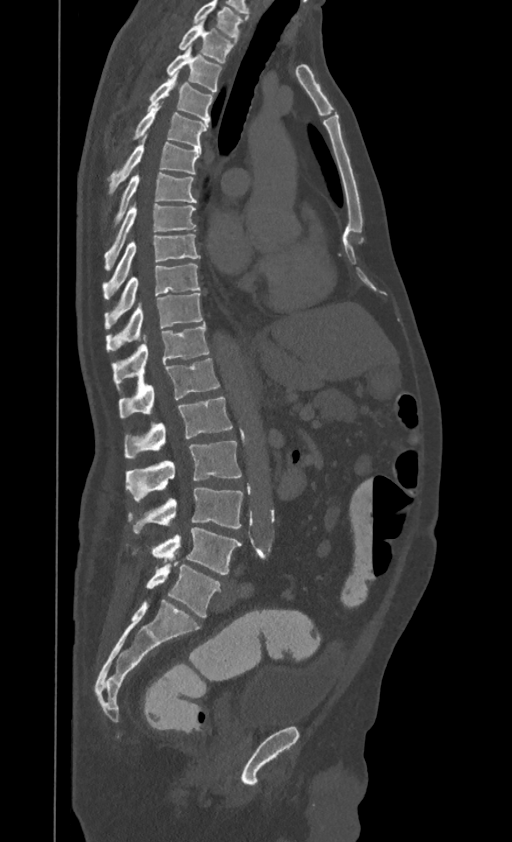
CT. sagittal view. 395 mm image width

Each box given as x1,y1,x2,y2.
This scan's labels start at T1 at the top and end at L4 at the bottom.
| vertebra | x1 | y1 | x2 | y2 |
|---|---|---|---|---|
| T1 | 179 | 20 | 236 | 62 |
| T2 | 166 | 47 | 222 | 92 |
| T3 | 148 | 73 | 213 | 124 |
| T4 | 132 | 104 | 208 | 148 |
| T5 | 110 | 136 | 201 | 191 |
| T6 | 114 | 173 | 196 | 224 |
| T7 | 105 | 203 | 196 | 268 |
| T8 | 102 | 234 | 198 | 296 |
| T9 | 105 | 262 | 200 | 328 |
| T10 | 106 | 293 | 202 | 350 |
| T11 | 113 | 323 | 209 | 387 |
| T12 | 119 | 358 | 219 | 419 |
| L1 | 124 | 397 | 232 | 457 |
| L2 | 126 | 441 | 241 | 501 |
| L3 | 128 | 488 | 243 | 533 |
| L4 | 152 | 527 | 241 | 574 |